Spine computed tomography — sagittal reformat — Bone window (WL 400, WW 1800) — part of the image has been replaced by a constant value
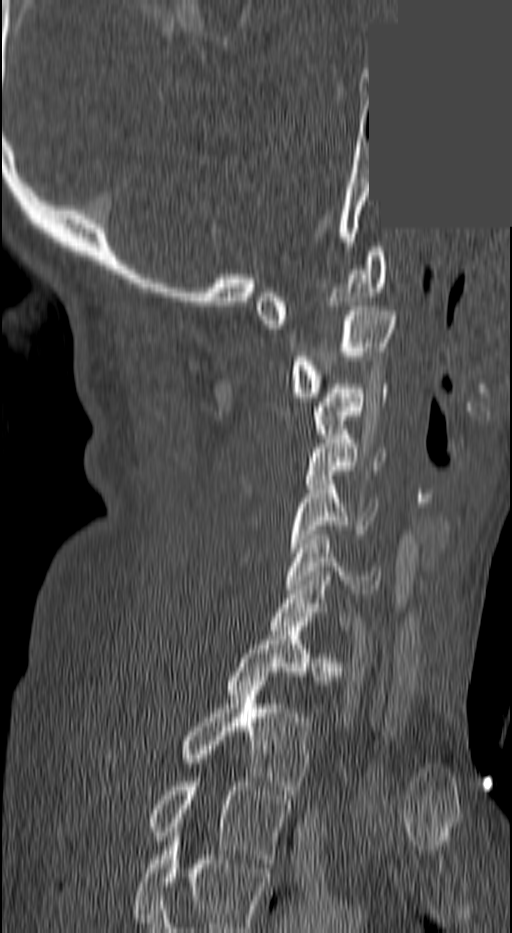

Boxes: x1 y1 x2 y2 (pixel coords, space-separated). This scan's labels start at C1 at the top and end at T3 at the bottom. 10 vertebrae labeled — C1 at 255 247 388 328; C2 at 291 306 395 397; C3 at 315 384 388 438; C4 at 304 434 386 484; C5 at 288 480 376 552; C6 at 287 535 380 598; C7 at 272 576 349 630; T1 at 228 631 337 694; T2 at 184 681 309 794; T3 at 148 777 289 863.